CT spine — sagittal reformat — 160 mm image width — bone window — 512x696 px
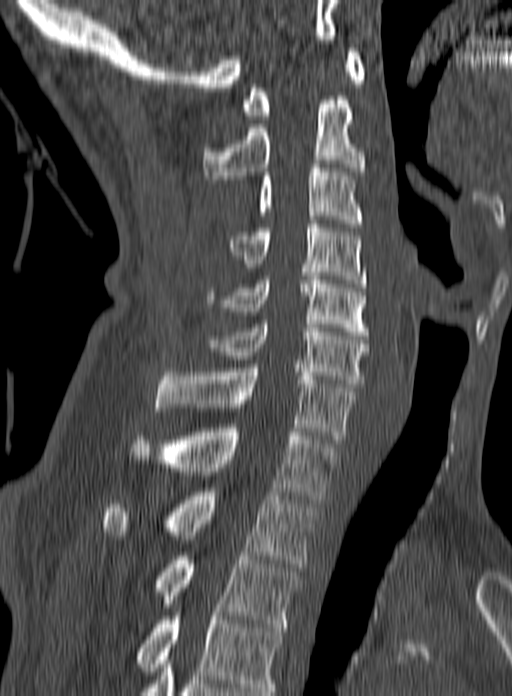

Bounding boxes as [x1, y1, x2, y2] in pixel coordinates.
Labels in this scan begin with C1 at the top and end with T3 at the bottom.
Vertebra bounding boxes:
- C1: [242, 48, 365, 119]
- C2: [203, 100, 365, 183]
- C3: [258, 164, 362, 227]
- C4: [228, 224, 367, 287]
- C5: [206, 276, 368, 335]
- C6: [202, 320, 369, 387]
- C7: [155, 368, 355, 443]
- T1: [129, 428, 339, 503]
- T2: [100, 492, 317, 567]
- T3: [152, 552, 301, 627]